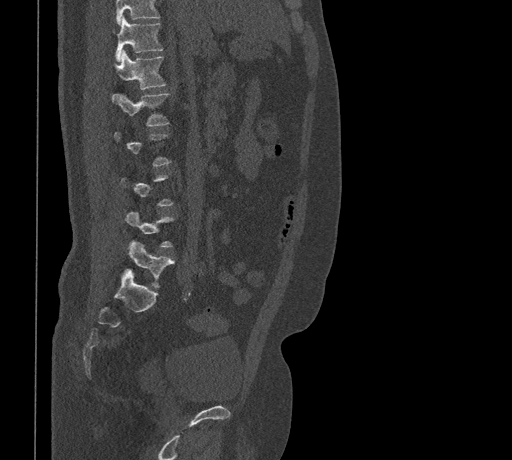

Computed tomography of the spine; sagittal view; W/L 1800/400 HU
Each box given as x1,y1,x2,y2.
Not every vertebra on this slice has a box: a vertebra is boxed only from the first to the last slice where its cross-section is at least a third of its largest, and this slice is outside that range for at least one of them.
Vertebrae that run past the top of the scan are left unlabeled.
Vertebra bounding boxes:
- T11: x1=116, y1=17, x2=163, y2=61
- T12: x1=114, y1=50, x2=166, y2=89
- L1: x1=112, y1=93, x2=170, y2=126
- L5: x1=125, y1=241, x2=174, y2=287